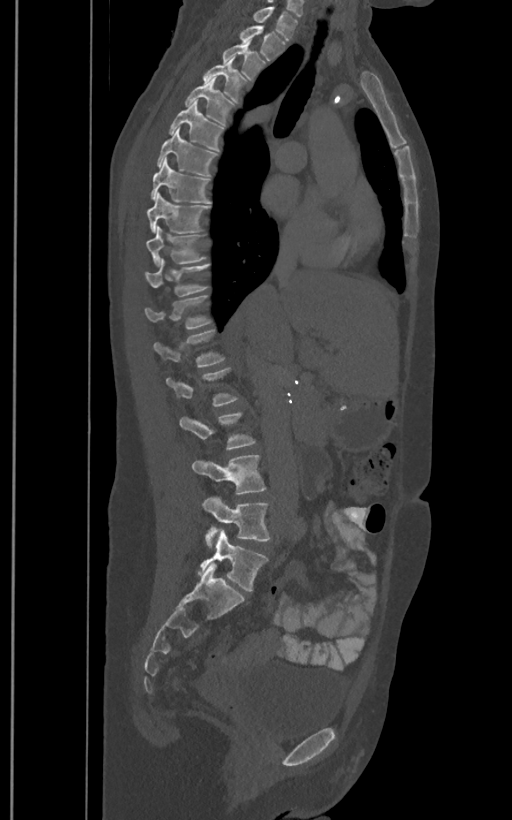 Spine computed tomography; sagittal view

Box edges are left/top/right/bottom in pixels. In these labels the spine has an L6, a sixth lumbar vertebra below L5. Vertebrae labeled: T1 at left=253, top=6, right=297, bottom=39, T2 at left=239, top=25, right=286, bottom=60, T3 at left=223, top=39, right=265, bottom=80, T4 at left=202, top=56, right=248, bottom=103, T5 at left=184, top=77, right=234, bottom=125, T6 at left=169, top=100, right=224, bottom=151, T7 at left=157, top=128, right=218, bottom=176, T8 at left=151, top=159, right=211, bottom=204, T9 at left=147, top=194, right=210, bottom=233, T10 at left=146, top=227, right=206, bottom=267, T11 at left=144, top=258, right=210, bottom=296, T12 at left=144, top=296, right=211, bottom=330, L1 at left=153, top=328, right=224, bottom=366, L2 at left=166, top=367, right=238, bottom=406, L3 at left=179, top=412, right=256, bottom=449, L4 at left=192, top=454, right=266, bottom=494, L5 at left=202, top=495, right=271, bottom=549, L6 at left=197, top=530, right=268, bottom=591.